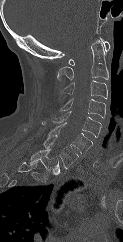

CT, spine; the image spans 123 mm across; sagittal view; W/L 1800/400 HU; 123x242 px
Each vertebra maps to its box as [x1, y1, x2, y2], the pixel coordinates of its top-left and bottom-right corners.
This scan's labels start at C1 at the top and end at T1 at the bottom.
{"vertebrae":{"C1":[68,37,110,65],"C2":[57,39,108,81],"C3":[60,80,107,99],"C4":[59,98,105,118],"C5":[53,111,101,137],"C6":[41,121,92,153],"C7":[24,128,78,168],"T1":[29,149,59,179]}}